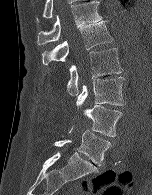

CT — sagittal view — bone window
<vertebrae><v name="T12" x1="37" y1="1" x2="103" y2="44"/><v name="L1" x1="42" y1="20" x2="113" y2="65"/><v name="L2" x1="67" y1="48" x2="122" y2="95"/><v name="L3" x1="76" y1="76" x2="125" y2="108"/><v name="L4" x1="68" y1="105" x2="122" y2="136"/><v name="L5" x1="53" y1="130" x2="111" y2="165"/></vertebrae>